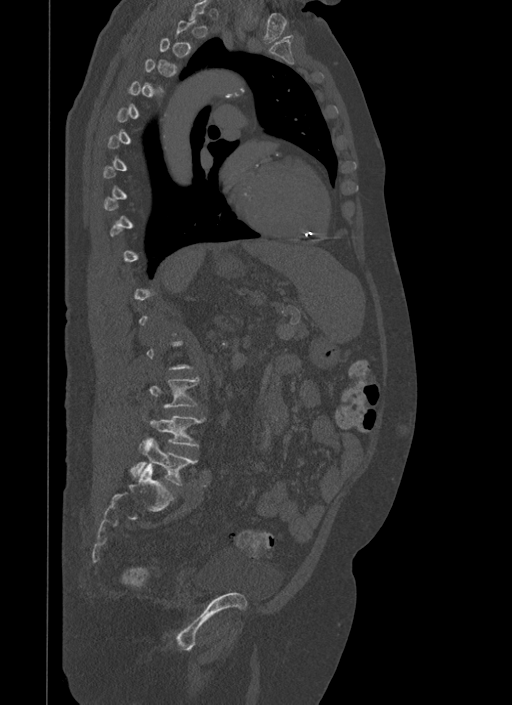
Spine CT. sagittal view. Bone window (WL 400, WW 1800). 512x705 px
In the table, x1 and y1 are a box's top-left corner and x2 and y2 its bottom-right corner, in pixels.
A vertebra gets a box only on the slices from the first to the last where its cross-section is at least a third of its largest; on a slice outside that range it gets none.
| vertebra | x1 | y1 | x2 | y2 |
|---|---|---|---|---|
| L3 | 149 | 378 | 199 | 407 |
| L4 | 148 | 416 | 205 | 446 |
| L5 | 130 | 437 | 197 | 485 |